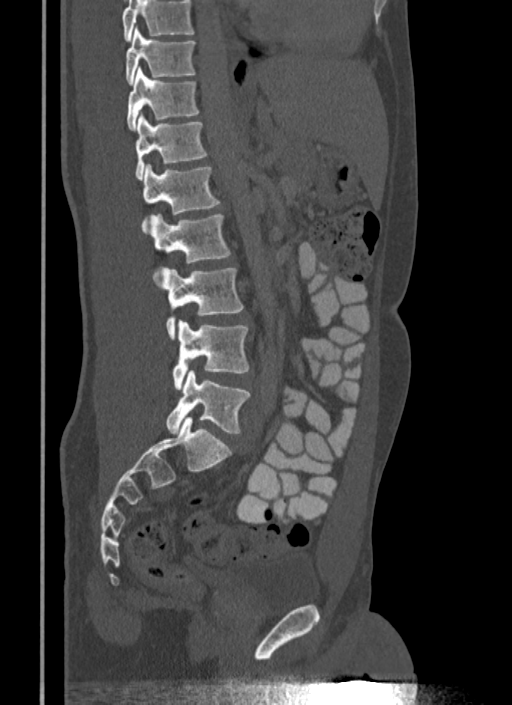
CT — sagittal reformat — Bone window (WL 400, WW 1800) — 340 mm across the image — 512x705 px

A vertebra cut off by the top edge of the scan is not labeled and has no box.
<vertebrae><v name="T10" x1="126" y1="27" x2="195" y2="85"/><v name="T11" x1="126" y1="68" x2="199" y2="130"/><v name="T12" x1="135" y1="113" x2="207" y2="178"/><v name="L1" x1="143" y1="164" x2="220" y2="229"/><v name="L2" x1="149" y1="214" x2="229" y2="263"/><v name="L3" x1="161" y1="268" x2="243" y2="338"/><v name="L4" x1="173" y1="321" x2="249" y2="389"/><v name="L5" x1="165" y1="370" x2="250" y2="434"/></vertebrae>